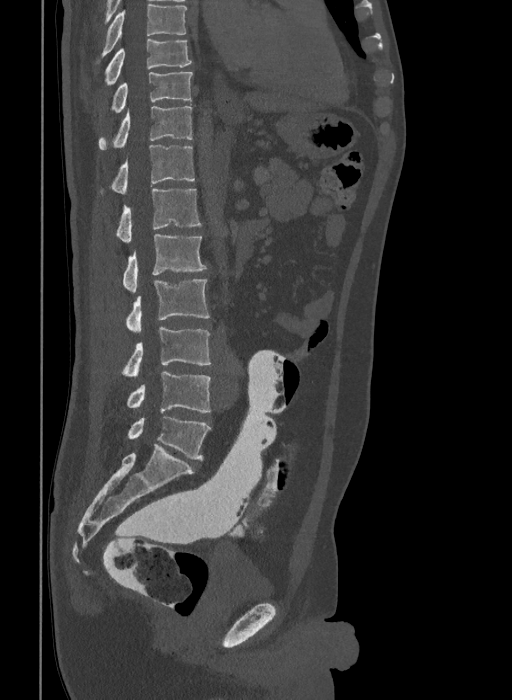 Spine CT — sagittal view

Labels in this scan begin with T9 at the top and end with L6 at the bottom.
In these labels the spine has an L6, a sixth lumbar vertebra below L5.
<vertebrae><v name="T9" x1="104" y1="38" x2="192" y2="87"/><v name="T10" x1="110" y1="71" x2="193" y2="113"/><v name="T11" x1="99" y1="106" x2="192" y2="149"/><v name="T12" x1="99" y1="145" x2="194" y2="194"/><v name="L1" x1="115" y1="189" x2="202" y2="242"/><v name="L2" x1="123" y1="234" x2="207" y2="292"/><v name="L3" x1="125" y1="279" x2="209" y2="331"/><v name="L4" x1="120" y1="327" x2="210" y2="378"/><v name="L5" x1="126" y1="372" x2="210" y2="412"/><v name="L6" x1="128" y1="417" x2="210" y2="460"/></vertebrae>